CT, spine. sagittal reformat
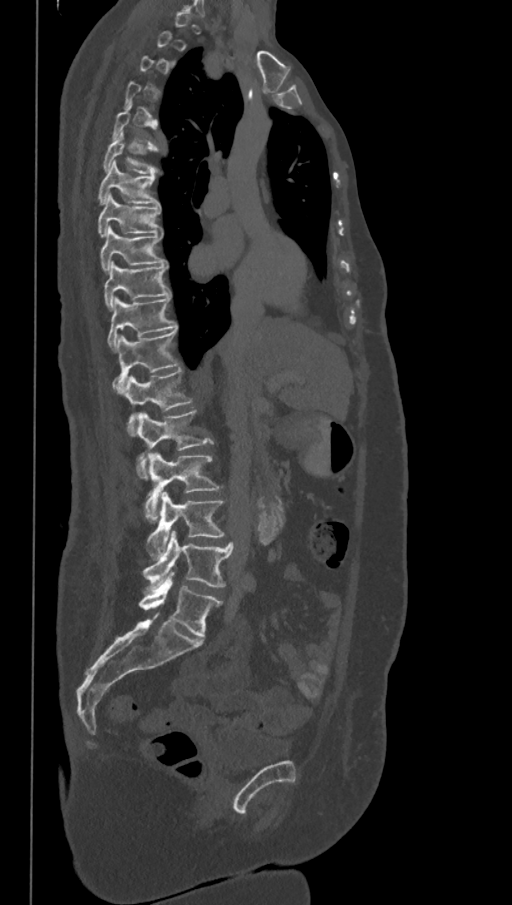
Boxes are (x1, y1, x2, y2) in pixels.
Not every vertebra on this slice has a box: a vertebra is boxed only from the first to the last slice where its cross-section is at least a third of its largest, and this slice is outside that range for at least one of them.
These labels give the spine a sixth lumbar vertebra, L6, below L5.
Vertebra bounding boxes:
- L6: (139, 571, 221, 638)
- L5: (143, 531, 234, 590)
- L4: (146, 492, 224, 557)
- L3: (144, 452, 220, 522)
- L2: (135, 411, 213, 477)
- L1: (123, 368, 192, 436)
- T12: (111, 329, 178, 392)
- T11: (107, 296, 177, 351)
- T10: (104, 262, 170, 310)
- T9: (100, 227, 167, 272)
- T8: (97, 193, 162, 237)
- T7: (97, 162, 159, 204)
- T6: (103, 131, 157, 174)